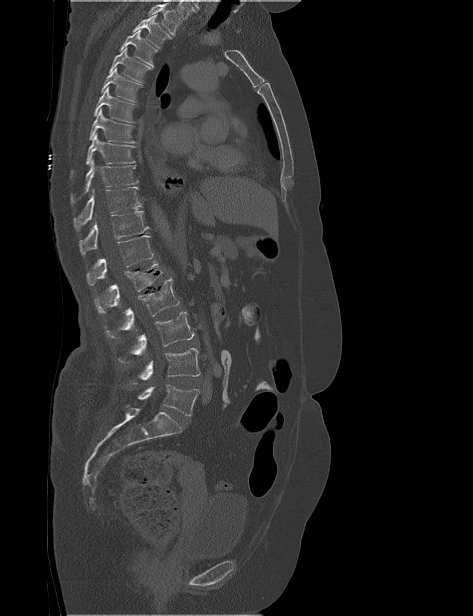 CT spine — 473 mm image width — sagittal view — bone-window reconstruction — 473x616 px

No box is given to a vertebra that the top edge of the scan cuts off.
<vertebrae><v name="T2" x1="132" y1="14" x2="171" y2="49"/><v name="T3" x1="119" y1="30" x2="157" y2="68"/><v name="T4" x1="109" y1="47" x2="152" y2="83"/><v name="T5" x1="100" y1="67" x2="142" y2="102"/><v name="T6" x1="93" y1="86" x2="138" y2="123"/><v name="T7" x1="89" y1="108" x2="138" y2="143"/><v name="T8" x1="70" y1="133" x2="136" y2="177"/><v name="T9" x1="70" y1="159" x2="138" y2="204"/><v name="T10" x1="73" y1="187" x2="142" y2="230"/><v name="T11" x1="79" y1="210" x2="149" y2="255"/><v name="T12" x1="86" y1="235" x2="153" y2="285"/><v name="L1" x1="94" y1="260" x2="162" y2="313"/><v name="L2" x1="106" y1="278" x2="179" y2="338"/><v name="L3" x1="118" y1="312" x2="194" y2="363"/><v name="L4" x1="129" y1="348" x2="200" y2="383"/><v name="L5" x1="137" y1="384" x2="199" y2="416"/></vertebrae>